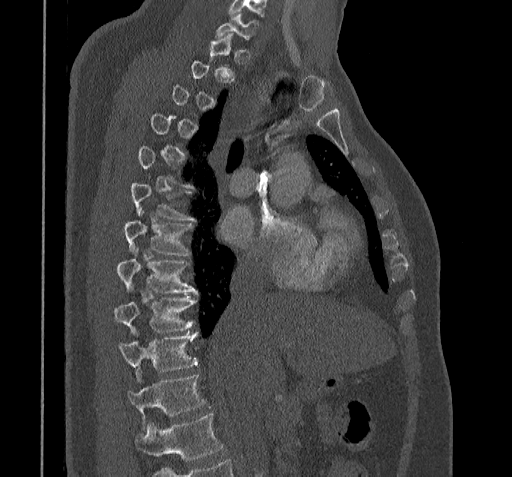 Computed tomography of the spine; sagittal view; the image spans 322 mm across
Each row gives a vertebra's box as x1, y1, x2, y2 in pixels: top-left corner, then bottom-right corner.
A vertebra is boxed only from the first to the last slice where its cross-section is at least a third of its largest; slices outside that range leave it without a box.
Where the bottom of the scan cuts through a vertebra, that vertebra gets no label or box.
| vertebra | x1 | y1 | x2 | y2 |
|---|---|---|---|---|
| C7 | 215 | 13 | 258 | 41 |
| T6 | 132 | 183 | 196 | 219 |
| T7 | 124 | 210 | 193 | 255 |
| T8 | 117 | 249 | 196 | 292 |
| T9 | 114 | 296 | 194 | 334 |
| T10 | 119 | 333 | 197 | 381 |
| T11 | 127 | 375 | 205 | 428 |